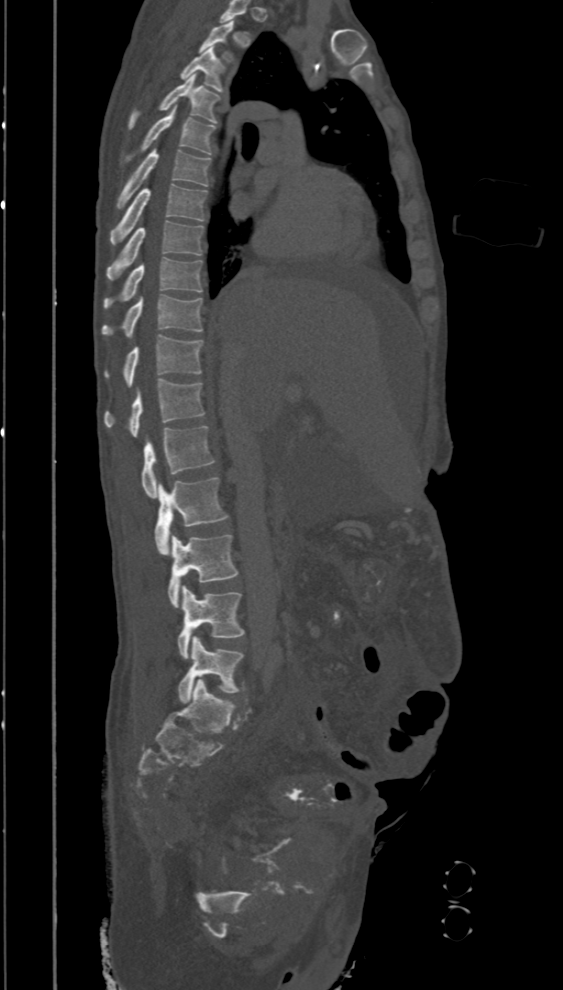

Computed tomography of the spine · sagittal reformat · bone-window reconstruction
Labels in this scan begin with T2 at the top and end with L5 at the bottom.
<vertebrae><v name="T2" x1="198" y1="20" x2="234" y2="61"/><v name="T3" x1="180" y1="47" x2="225" y2="92"/><v name="T4" x1="129" y1="75" x2="220" y2="129"/><v name="T5" x1="123" y1="106" x2="214" y2="164"/><v name="T6" x1="117" y1="149" x2="210" y2="208"/><v name="T7" x1="110" y1="183" x2="206" y2="244"/><v name="T8" x1="107" y1="220" x2="203" y2="279"/><v name="T9" x1="103" y1="257" x2="201" y2="309"/><v name="T10" x1="101" y1="295" x2="203" y2="336"/><v name="T11" x1="103" y1="335" x2="203" y2="386"/><v name="T12" x1="103" y1="379" x2="205" y2="436"/><v name="L1" x1="141" y1="426" x2="214" y2="497"/><v name="L2" x1="154" y1="477" x2="228" y2="554"/><v name="L3" x1="168" y1="535" x2="238" y2="607"/><v name="L4" x1="177" y1="586" x2="244" y2="658"/><v name="L5" x1="177" y1="636" x2="243" y2="703"/></vertebrae>